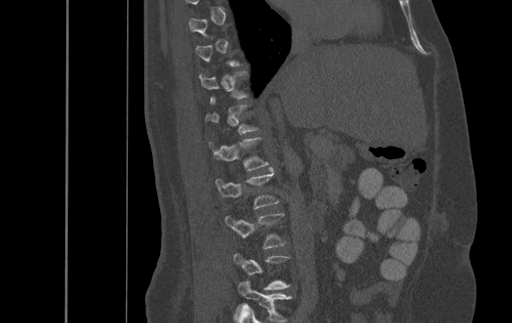 Computed tomography of the spine · sagittal reformat · W/L 1800/400 HU

Boxes are (x1, y1, x2, y2) in pixels.
A vertebra gets a box only on the slices from the first to the last where its cross-section is at least a third of its largest; on a slice outside that range it gets none.
Vertebra bounding boxes:
- L3: (225, 213, 285, 249)
- L2: (217, 169, 277, 209)